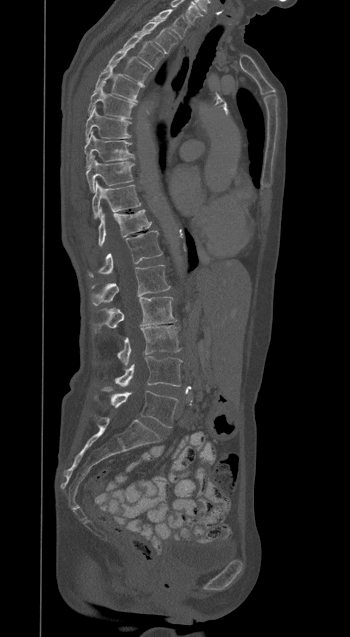 Spine CT. sagittal view. 350x637 px. image width 350 mm

Each vertebra maps to its box as [x1, y1, x2, y2], the pixel coordinates of its top-left and bottom-right corners.
{"vertebrae":{"T1":[152,9,189,38],"T2":[136,21,177,53],"T3":[122,35,164,69],"T4":[107,49,150,83],"T5":[95,66,144,102],"T6":[88,85,135,118],"T7":[85,107,131,140],"T8":[84,131,133,167],"T9":[86,155,133,191],"T10":[92,181,140,218],"T11":[98,209,151,246],"T12":[89,231,162,277],"L1":[91,265,170,305],"L2":[92,297,176,332],"L3":[117,326,180,365],"L4":[115,356,181,386],"L5":[110,391,177,427]}}